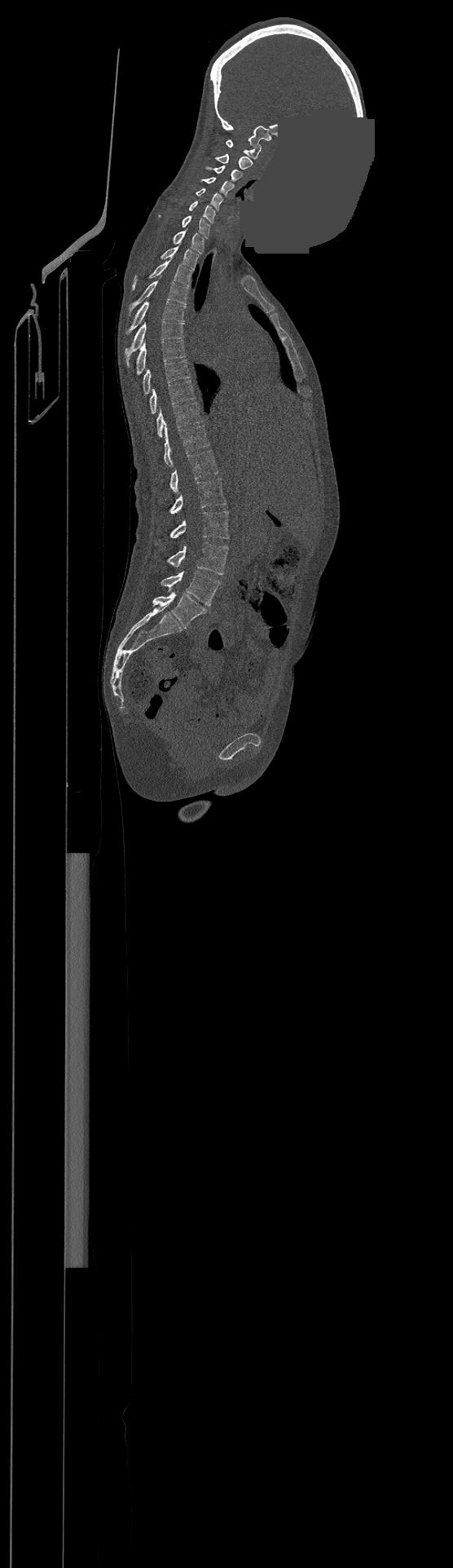

Computed tomography of the spine; sagittal reformat; bone window; a region is masked with a constant gray value

Boxes: x1:y1:x2:y2 in pixels. The highest labeled vertebra in this scan is C1; the lowest is L4. The labeled vertebrae in this slice are: L4 at 161:571:220:605, L3 at 167:542:228:574, L2 at 169:510:228:538, L1 at 169:478:226:514, T12 at 169:450:218:492, T11 at 164:426:209:466, T10 at 156:402:201:436, T9 at 149:380:195:413, T8 at 143:360:189:394, T7 at 137:340:185:374, T6 at 125:320:184:365, T5 at 126:302:185:333, T4 at 129:280:187:310, T3 at 132:258:191:289, T2 at 161:246:198:269, T1 at 174:231:204:254, C7 at 183:215:210:238, C6 at 189:201:215:223, C5 at 196:188:223:210, C4 at 200:177:232:196, C3 at 206:166:242:181, C2 at 216:154:253:170, C1 at 226:139:261:158.